CT. Sagittal slice 59/127. 616x616 px. scan covers 8 annotated vertebrae
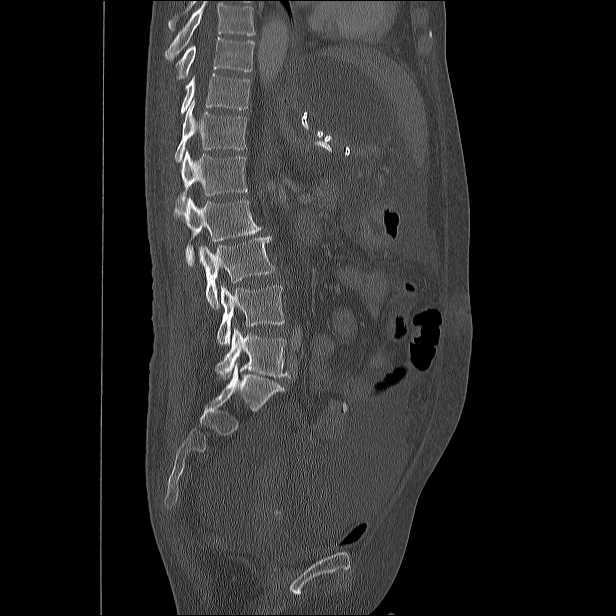

Vertebrae that run past the top of the scan are left unlabeled.
<vertebrae><v name="T10" x1="174" y1="37" x2="255" y2="79"/><v name="T11" x1="180" y1="73" x2="251" y2="114"/><v name="T12" x1="175" y1="102" x2="247" y2="161"/><v name="L1" x1="176" y1="151" x2="247" y2="208"/><v name="L2" x1="173" y1="197" x2="262" y2="265"/><v name="L3" x1="198" y1="236" x2="275" y2="309"/><v name="L4" x1="217" y1="285" x2="284" y2="345"/><v name="L5" x1="216" y1="327" x2="290" y2="379"/></vertebrae>